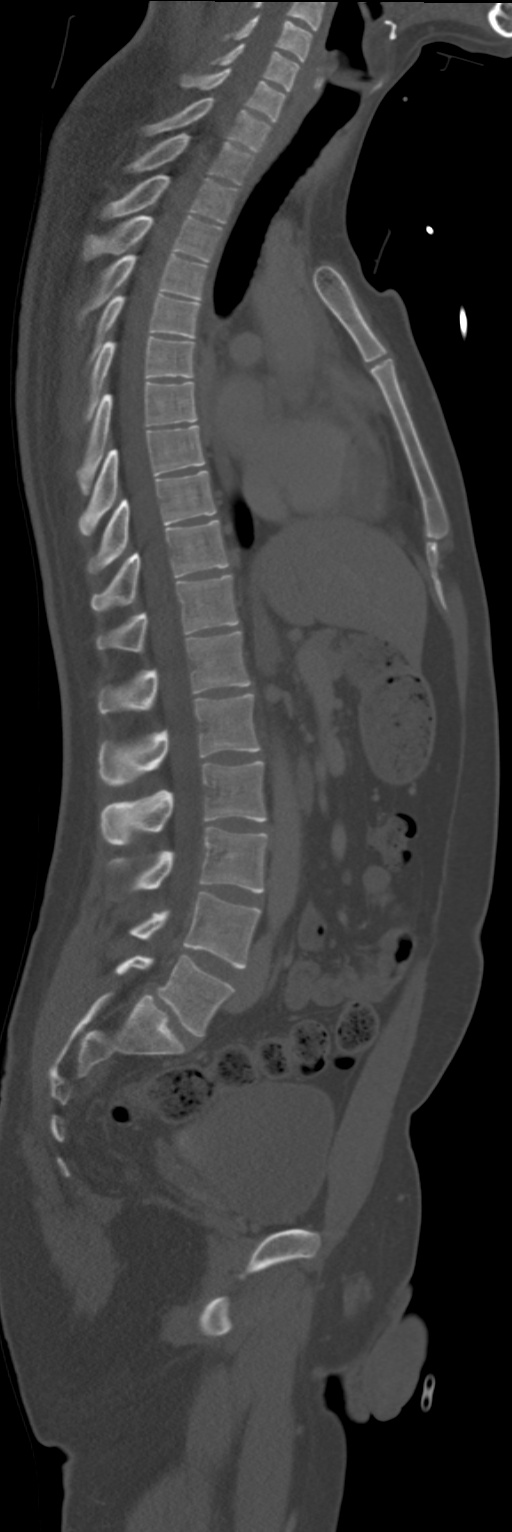 CT — sagittal view — bone-window reconstruction

Boxes: x1 y1 x2 y2 (pixel coords, space-separated). Vertebrae labeled: C4 at 224 16 311 61, C5 at 213 44 299 91, C6 at 180 67 286 122, C7 at 146 98 269 152, T1 at 128 134 252 185, T2 at 102 174 236 223, T3 at 85 216 221 261, T4 at 79 255 206 322, T5 at 90 295 200 359, T6 at 85 337 194 420, T7 at 76 383 196 495, T8 at 79 425 204 534, T9 at 88 470 215 573, T10 at 90 520 229 611, T11 at 96 575 238 651, T12 at 98 631 250 714, L1 at 98 694 259 786, L2 at 100 761 265 844, L3 at 111 828 267 892, L4 at 130 893 261 968, L5 at 115 956 233 1037.